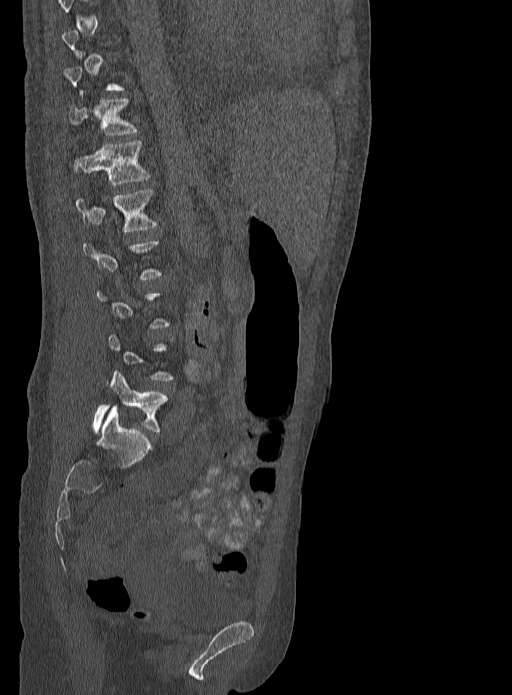
CT · sagittal reformat · W/L 1800/400 HU · the image spans 333 mm across · 512x695 px. Boxes: x1:y1:x2:y2 in pixels.
Each vertebra is boxed only on the slices from the first to the last where its cross-section reaches a third of its largest, so a slice outside that range leaves it unboxed.
Vertebra bounding boxes:
- L5: 92:371:166:433
- L1: 77:189:157:233
- T12: 77:141:149:185
- T11: 69:98:137:136